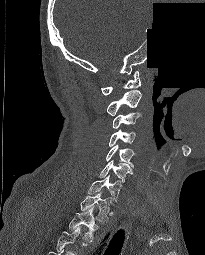 Spine CT. sagittal reformat. Bone window (WL 400, WW 1800). 205x255 px. a portion of the image is blanked out (constant pixel value)
Boxes are given in columns x1, y1, x2, y2, the pixel coordinates of their top-left and bottom-right corners.
Labels in this scan begin with C1 at the top and end with T2 at the bottom.
| vertebra | x1 | y1 | x2 | y2 |
|---|---|---|---|---|
| C1 | 101 | 71 | 140 | 95 |
| C2 | 107 | 90 | 141 | 115 |
| C3 | 112 | 112 | 141 | 129 |
| C4 | 109 | 129 | 136 | 146 |
| C5 | 106 | 144 | 134 | 168 |
| C6 | 98 | 160 | 132 | 183 |
| C7 | 88 | 175 | 121 | 201 |
| T1 | 80 | 191 | 111 | 221 |
| T2 | 68 | 205 | 97 | 241 |